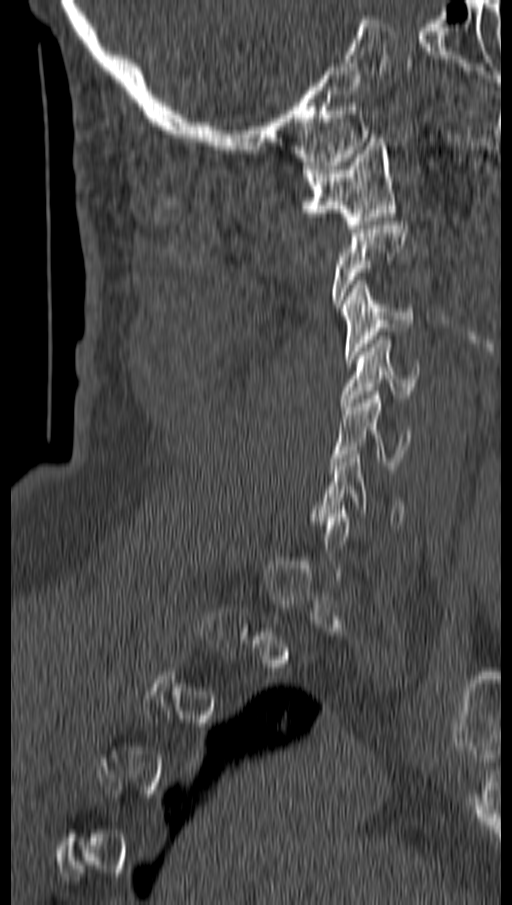
Spine computed tomography; sagittal view; bone-window reconstruction; 512x905 px
Not every vertebra on this slice has a box: a vertebra is boxed only from the first to the last slice where its cross-section is at least a third of its largest, and this slice is outside that range for at least one of them.
<vertebrae><v name="C1" x1="301" y1="138" x2="395" y2="228"/><v name="C3" x1="340" y1="280" x2="413" y2="362"/><v name="C4" x1="342" y1="336" x2="418" y2="406"/><v name="C5" x1="330" y1="391" x2="409" y2="469"/><v name="C6" x1="314" y1="454" x2="404" y2="528"/></vertebrae>